Computed tomography of the spine; sagittal view; 512x709 px
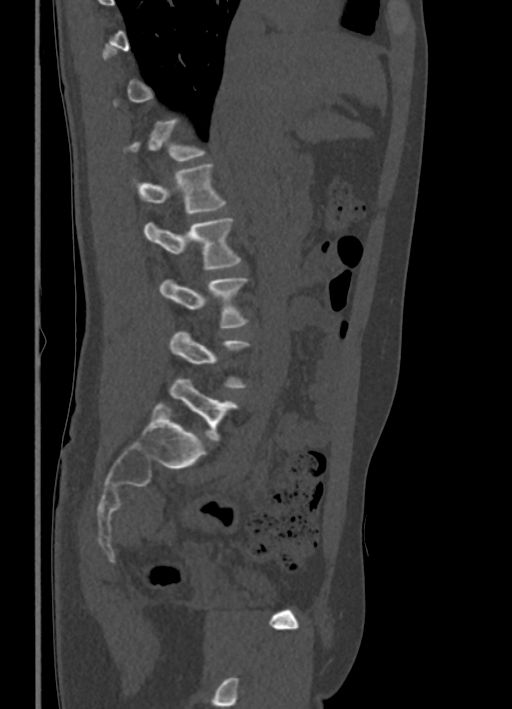
Boxes are (x1, y1, x2, y2) in pixels.
A vertebra gets a box only on the slices from the first to the last where its cross-section is at least a third of its largest; on a slice outside that range it gets none.
L1: (138, 163, 224, 214)
L2: (145, 218, 240, 269)
L3: (160, 277, 247, 328)
L4: (170, 331, 249, 388)
L5: (169, 378, 237, 439)